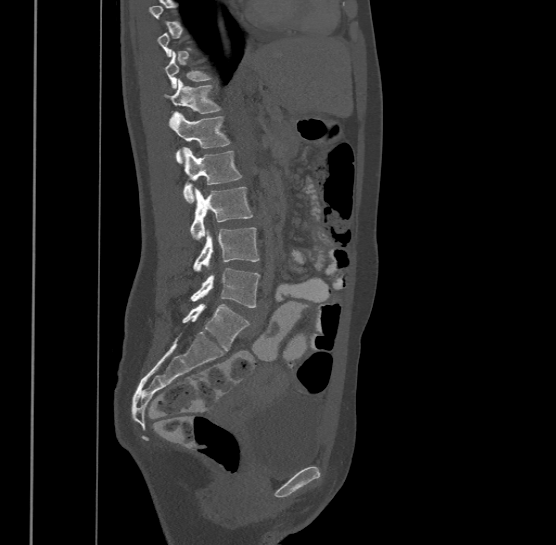

Spine computed tomography; sagittal reformat; 556x545 px

Each box given as x1,y1,x2,y2.
A vertebra is boxed only from the first to the last slice where its cross-section is at least a third of its largest; slices outside that range leave it without a box.
Labels in this scan begin with T9 at the top and end with L4 at the bottom.
T10: x1=166, y1=52, x2=213, y2=89
T11: x1=164, y1=78, x2=221, y2=122
T12: x1=168, y1=112, x2=230, y2=162
L1: x1=183, y1=147, x2=242, y2=202
L2: x1=190, y1=186, x2=252, y2=239
L3: x1=192, y1=227, x2=259, y2=270
L4: x1=190, y1=268, x2=261, y2=307